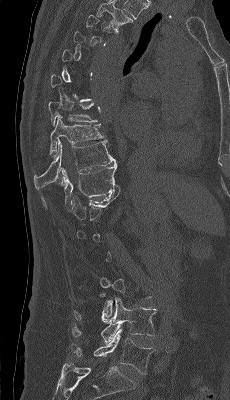 Spine CT · sagittal view

Each box is [x1, y1, x2, y2] in pixels: top-left corner, then bottom-right corner.
Each vertebra is boxed only on the slices from the first to the last where its cross-section reaches a third of its largest, so a slice outside that range leaves it unboxed.
{"vertebrae":{"T8":[48,102,97,125],"T9":[50,115,106,154],"T10":[34,139,116,190],"T11":[41,164,118,210],"L4":[72,298,157,343],"L5":[71,328,154,374]}}